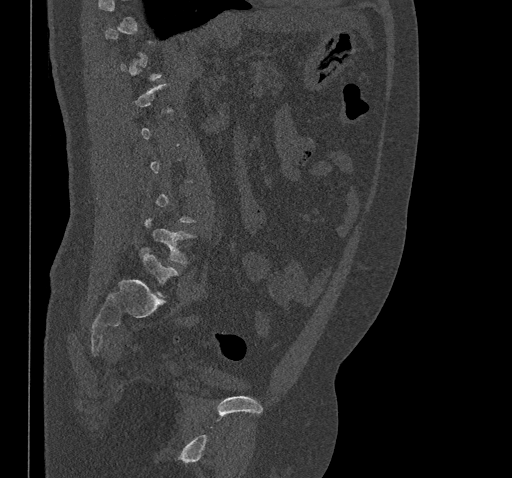
Spine computed tomography. sagittal view. image width 461 mm. bone window. 512x478 px
Each vertebra is boxed only on the slices from the first to the last where its cross-section reaches a third of its largest, so a slice outside that range leaves it unboxed.
<vertebrae><v name="L4" x1="145" y1="218" x2="193" y2="264"/><v name="L5" x1="140" y1="247" x2="177" y2="296"/></vertebrae>